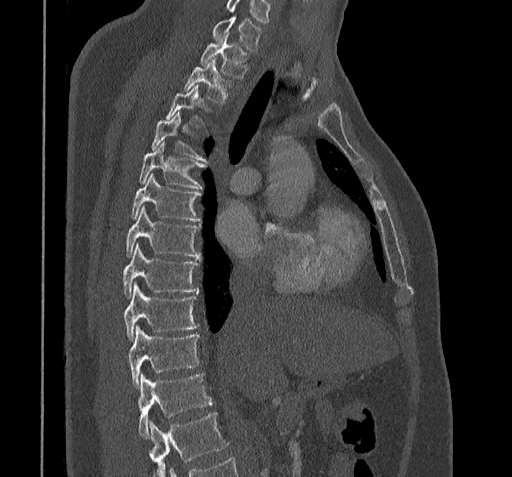 Spine CT · sagittal view
Each vertebra maps to its box as [x1, y1, x2, y2], the pixel coordinates of its top-left and bottom-right corners.
Where the bottom of the scan cuts through a vertebra, that vertebra gets no label or box.
Labels in this scan begin with C7 at the top and end with T11 at the bottom.
{"vertebrae":{"C7":[211,16,261,51],"T1":[200,33,248,78],"T2":[184,59,231,103],"T3":[165,86,207,126],"T4":[151,113,205,161],"T5":[139,143,206,188],"T6":[131,175,201,221],"T7":[125,206,201,258],"T8":[122,245,197,298],"T9":[124,282,199,341],"T10":[128,326,199,387],"T11":[138,374,212,437]}}